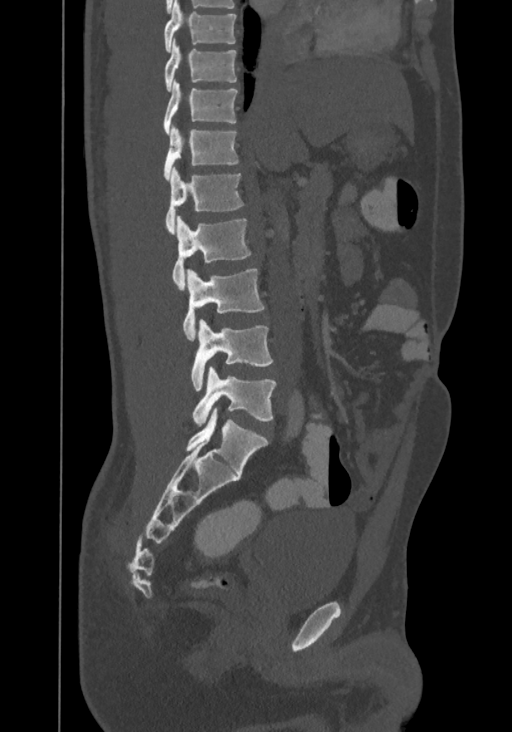

Spine computed tomography. sagittal view
Boxes are given in columns x1, y1, x2, y2, the pixel coordinates of their top-left and bottom-right corners.
This scan's labels start at T8 at the top and end at L4 at the bottom.
| vertebra | x1 | y1 | x2 | y2 |
|---|---|---|---|---|
| T8 | 164 | 0 | 236 | 52 |
| T9 | 164 | 38 | 236 | 91 |
| T10 | 163 | 79 | 237 | 135 |
| T11 | 163 | 124 | 239 | 180 |
| T12 | 165 | 166 | 243 | 234 |
| L1 | 172 | 216 | 250 | 289 |
| L2 | 183 | 269 | 264 | 339 |
| L3 | 191 | 319 | 272 | 391 |
| L4 | 192 | 365 | 275 | 427 |